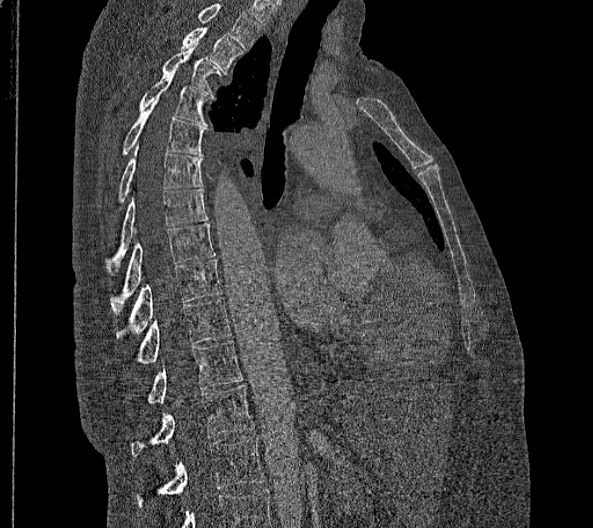 Computed tomography of the spine; sagittal view; 593x528 px
Boxes are given in columns x1, y1, x2, y2, the pixel coordinates of their top-left and bottom-right corners.
Labels in this scan begin with T2 at the top and end with L2 at the bottom.
These labels give this spine no T12: after T11 the next vertebra is L1.
| vertebra | x1 | y1 | x2 | y2 |
|---|---|---|---|---|
| T2 | 181 | 27 | 244 | 74 |
| T3 | 161 | 43 | 220 | 97 |
| T4 | 140 | 73 | 210 | 126 |
| T5 | 123 | 97 | 204 | 155 |
| T6 | 118 | 143 | 202 | 202 |
| T7 | 105 | 188 | 208 | 274 |
| T8 | 110 | 223 | 216 | 313 |
| T9 | 116 | 259 | 220 | 338 |
| T10 | 134 | 298 | 231 | 363 |
| T11 | 146 | 340 | 242 | 404 |
| L1 | 131 | 385 | 254 | 457 |
| L2 | 137 | 437 | 266 | 509 |